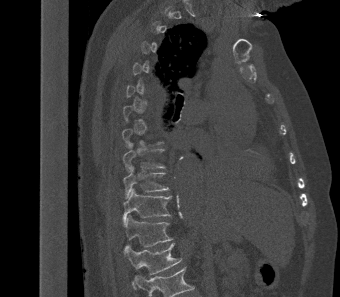
CT. sagittal view. bone window. In the table, x1 and y1 are a box's top-left corner and x2 and y2 its bottom-right corner, in pixels.
Not every vertebra on this slice has a box: a vertebra is boxed only from the first to the last slice where its cross-section is at least a third of its largest, and this slice is outside that range for at least one of them.
Labels in this scan begin with T2 at the top and end with L1 at the bottom.
| vertebra | x1 | y1 | x2 | y2 |
|---|---|---|---|---|
| T9 | 123 | 143 | 165 | 171 |
| T10 | 123 | 166 | 169 | 198 |
| T11 | 122 | 188 | 171 | 227 |
| T12 | 124 | 215 | 173 | 250 |
| L1 | 124 | 242 | 181 | 286 |